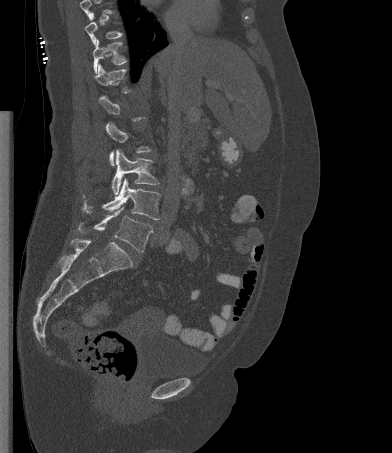
CT spine · sagittal view · W/L 1800/400 HU · 392x453 px. Boxes: x1 y1 x2 y2 (pixel coords, space-separated).
A vertebra gets a box only on the slices from the first to the last where its cross-section is at least a third of its largest; on a slice outside that range it gets none.
Vertebra bounding boxes:
- T11: 93 39 127 73
- T12: 94 64 130 93
- L3: 111 149 159 194
- L4: 82 178 160 219
- L5: 78 207 152 252